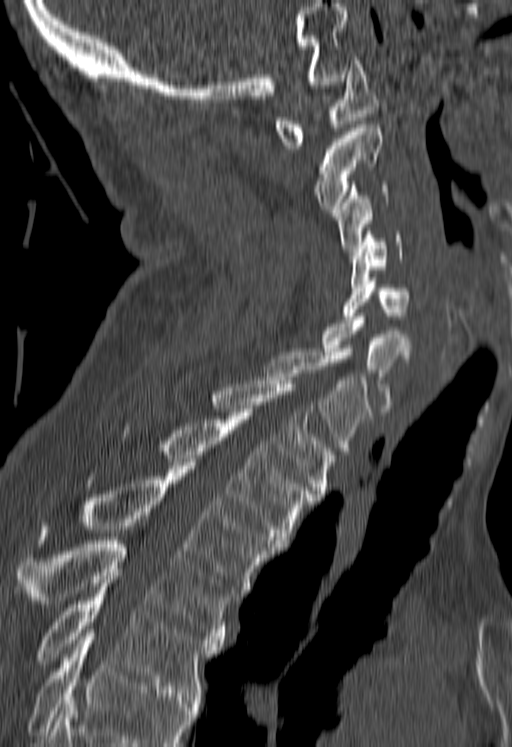 CT, spine. sagittal view
Each box given as x1,y1,x2,y2.
Vertebrae that run past the bottom of the scan are left unlabeled.
| vertebra | x1 | y1 | x2 | y2 |
|---|---|---|---|---|
| C1 | 274 | 57 | 380 | 148 |
| C2 | 314 | 124 | 381 | 212 |
| C3 | 337 | 181 | 387 | 251 |
| C4 | 351 | 231 | 401 | 287 |
| C5 | 342 | 277 | 410 | 323 |
| C6 | 322 | 313 | 410 | 411 |
| C7 | 265 | 348 | 370 | 454 |
| T1 | 209 | 380 | 336 | 497 |
| T2 | 157 | 412 | 313 | 547 |
| T3 | 39 | 466 | 276 | 596 |
| T4 | 18 | 540 | 233 | 643 |
| T5 | 38 | 583 | 219 | 699 |